CT. sagittal view. 246x279 px. 9 vertebrae labeled in this scan. some of the image was removed or blocked out with constant pixels
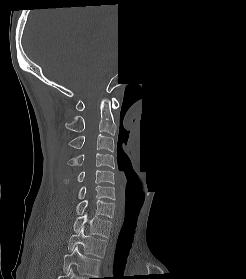 Box edges are left/top/right/bottom in pixels.
Labels in this scan begin with C1 at the top and end with T2 at the bottom.
Vertebra bounding boxes:
- C1: left=76, top=98, right=119, bottom=110
- C2: left=65, top=98, right=116, bottom=135
- C3: left=68, top=134, right=114, bottom=152
- C4: left=67, top=153, right=115, bottom=168
- C5: left=64, top=170, right=114, bottom=184
- C6: left=78, top=185, right=115, bottom=199
- C7: left=76, top=200, right=114, bottom=217
- T1: left=73, top=210, right=111, bottom=237
- T2: left=68, top=227, right=107, bottom=257